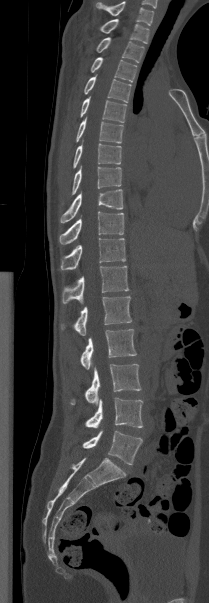

CT spine · sagittal view · bone-window reconstruction. Bounding boxes as [x1, y1, x2, y2] in pixel coordinates.
Labels in this scan begin with T1 at the top and end with L5 at the bottom.
Vertebra bounding boxes:
- L5: [82, 430, 142, 464]
- L4: [84, 398, 142, 428]
- L3: [70, 364, 141, 404]
- L2: [80, 329, 136, 369]
- L1: [61, 296, 131, 335]
- T12: [62, 266, 128, 303]
- T11: [60, 238, 125, 270]
- T10: [59, 211, 123, 244]
- T9: [60, 189, 123, 222]
- T8: [72, 166, 121, 195]
- T7: [73, 143, 121, 168]
- T6: [76, 117, 123, 143]
- T5: [80, 97, 126, 122]
- T4: [84, 76, 131, 102]
- T3: [90, 57, 137, 82]
- T2: [96, 37, 144, 62]
- T1: [100, 19, 148, 43]